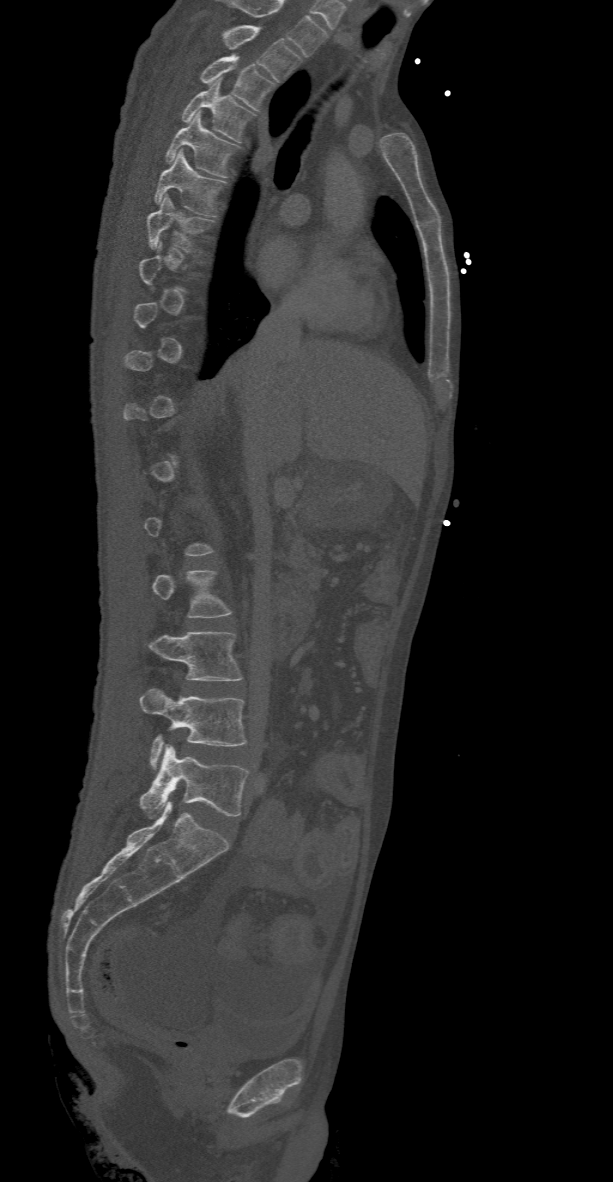
CT; sagittal view
Boxes: x1:y1:x2:y2 in pixels.
A vertebra is boxed only from the first to the last slice where its cross-section is at least a third of its largest; slices outside that range leave it without a box.
In this scan, the topmost labeled vertebra is T2 and the lowest is L5.
Vertebra bounding boxes:
- T2: 222:24:302:81
- T3: 200:54:276:110
- T4: 181:77:255:141
- T5: 165:112:239:176
- T6: 153:149:227:216
- T7: 146:194:213:253
- L3: 146:632:242:680
- L4: 140:687:247:770
- L5: 140:744:248:817